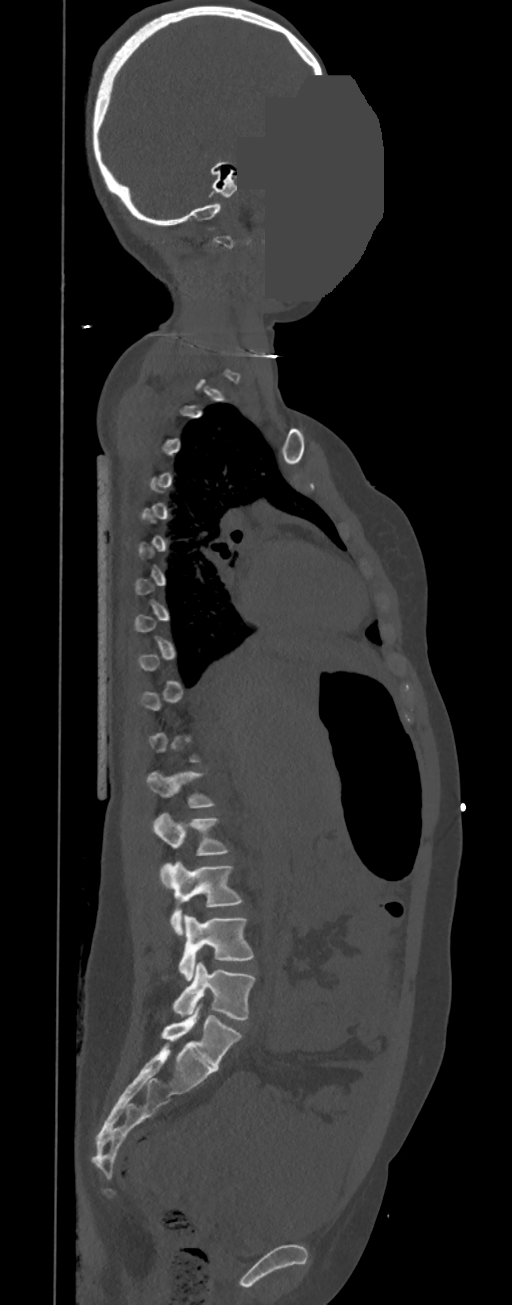
Computed tomography of the spine — sagittal view — a portion of the image is blanked out (constant pixel value)
Boxes below are [x1, y1, x2, y2] in pixels.
Each vertebra is boxed only on the slices from the first to the last where its cross-section reaches a third of its largest, so a slice outside that range leaves it unboxed.
{"vertebrae":{"L5":[172,962,255,1019],"L4":[178,915,253,980],"L3":[161,861,242,935],"L2":[152,814,228,855],"L1":[146,770,214,807]}}